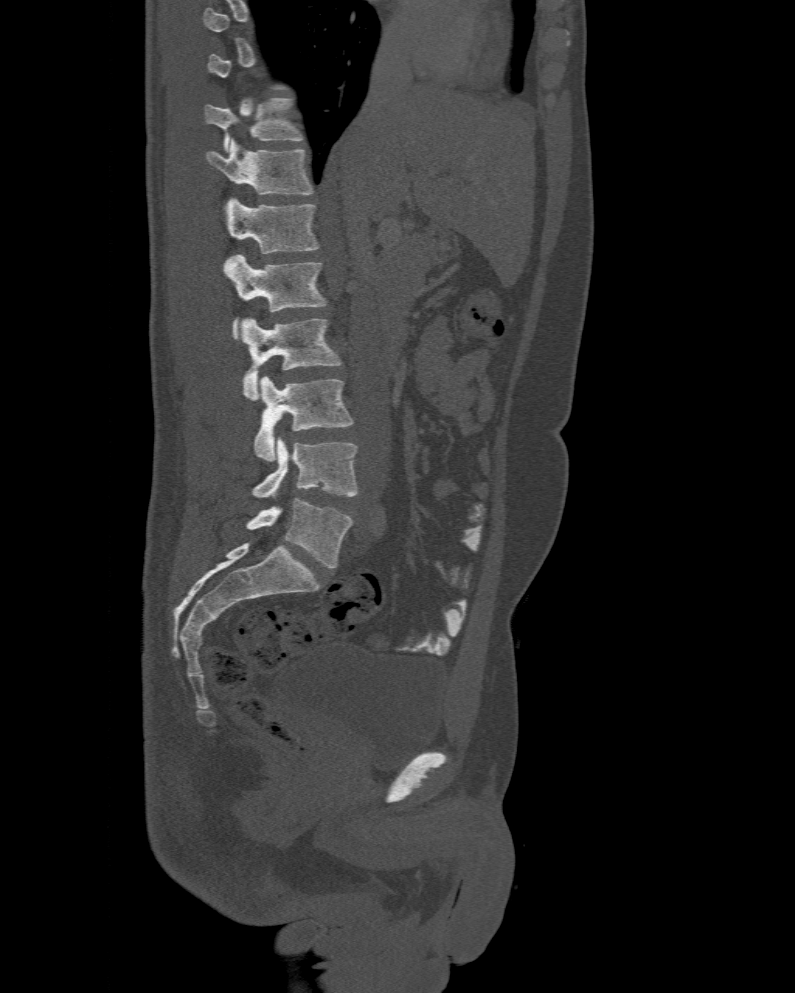

CT; sagittal reformat; 477 mm wide; bone window; 795x993 px
Each vertebra maps to its box as [x1, y1, x2, y2], the pixel coordinates of its top-left and bottom-right corners.
A vertebra gets a box only on the slices from the first to the last where its cross-section is at least a third of its largest; on a slice outside that range it gets none.
In these labels the spine has an L6, a sixth lumbar vertebra below L5.
{"vertebrae":{"T11":[205,98,303,151],"T12":[207,138,314,194],"L1":[227,197,319,254],"L2":[222,255,327,339],"L3":[241,318,342,401],"L4":[255,377,355,461],"L5":[252,438,358,499],"L6":[245,498,353,567]}}